CT; Sagittal slice 224/391; the image spans 391 mm across
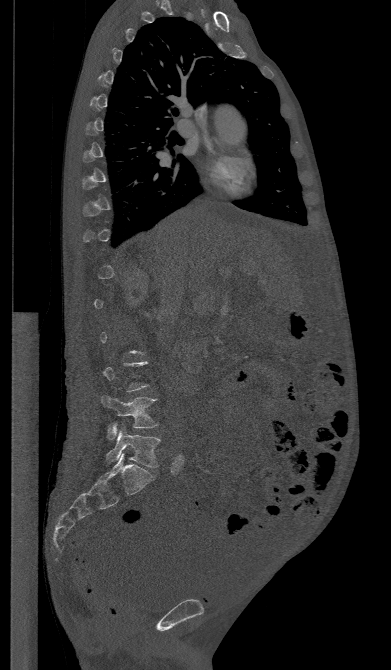

Boxes: x1:y1:x2:y2 in pixels. A vertebra is boxed only from the first to the last slice where its cross-section is at least a third of its largest; slices outside that range leave it without a box. The labeled vertebrae in this slice are: L4 at 101:396:157:438, L5 at 106:427:160:467.